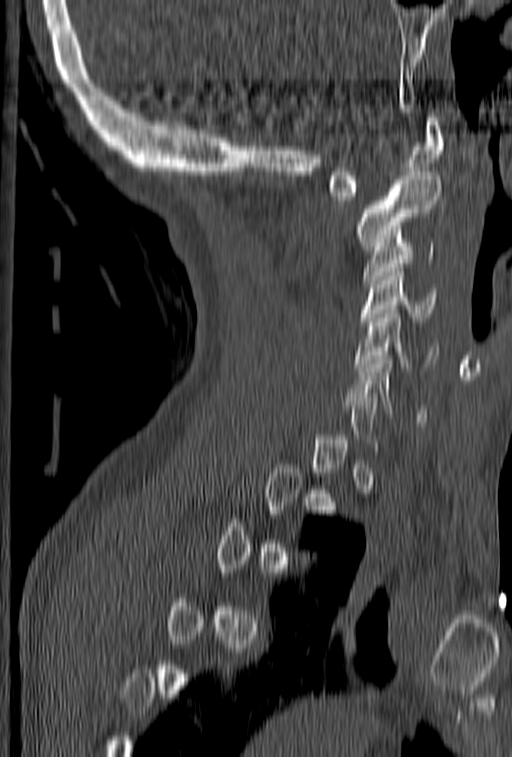
CT. sagittal view. 512x757 px
Boxes are (x1, y1, x2, y2) in pixels.
A vertebra gets a box only on the slices from the first to the last where its cross-section is at least a third of its largest; on a slice outside that range it gets none.
C1: (326, 113, 444, 200)
C2: (356, 172, 442, 250)
C3: (363, 238, 435, 283)
C4: (359, 264, 437, 325)
C5: (356, 301, 438, 371)
C6: (349, 356, 426, 421)